CT spine — sagittal view
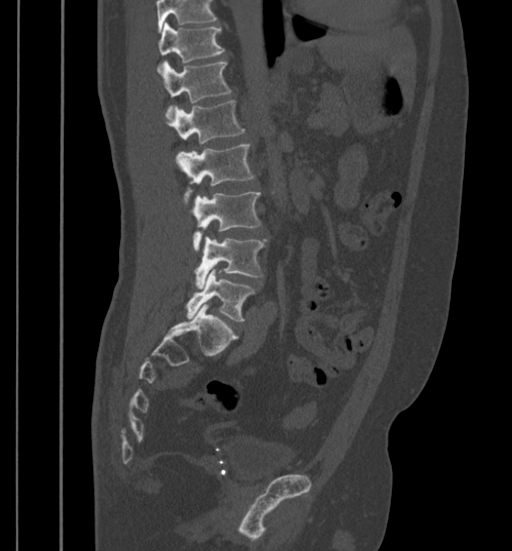 Boxes are given in columns x1, y1, x2, y2, the pixel coordinates of their top-left and bottom-right corners.
No box is given to a vertebra that the top edge of the scan cuts off.
| vertebra | x1 | y1 | x2 | y2 |
|---|---|---|---|---|
| T11 | 158 | 23 | 225 | 72 |
| T12 | 162 | 62 | 231 | 117 |
| L1 | 168 | 100 | 244 | 144 |
| L2 | 176 | 144 | 254 | 205 |
| L3 | 192 | 192 | 261 | 251 |
| L4 | 195 | 236 | 266 | 288 |
| L5 | 186 | 268 | 255 | 320 |